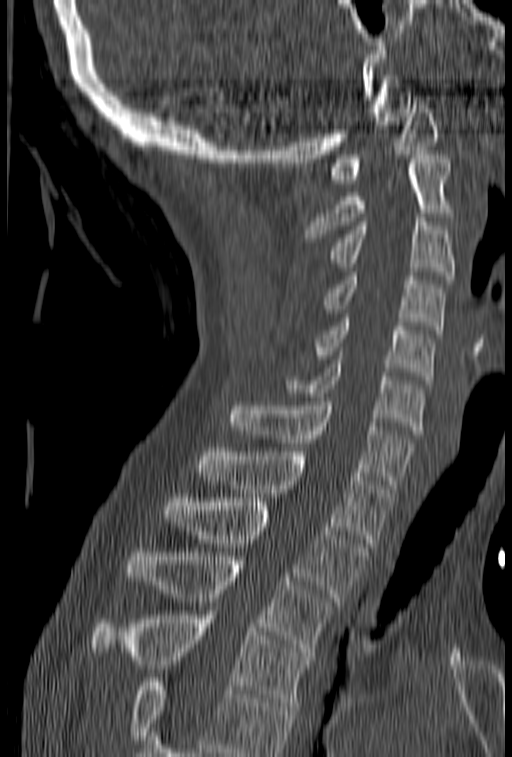
CT spine. sagittal view

Each vertebra maps to its box as [x1, y1, x2, y2], the pixel coordinates of its top-left and bottom-right corners.
Vertebrae that run past the bottom of the scan are left unlabeled.
{"vertebrae":{"T4":[91,602,312,710],"T3":[127,548,335,656],"T2":[164,498,368,601],"T1":[198,448,392,547],"C7":[229,397,412,488],"C6":[282,360,425,434],"C5":[314,314,435,380],"C4":[322,272,445,334],"C3":[328,218,455,279],"C2":[306,155,455,242],"C1":[329,96,439,183]}}